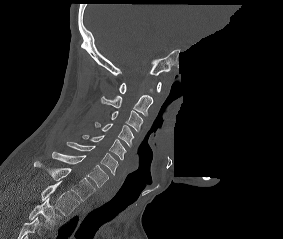 CT. sagittal view. a region is blanked to uniform black, ending in a straight edge

Labels in this scan begin with C1 at the top and end with T2 at the bottom.
<vertebrae><v name="C1" x1="119" y1="81" x2="161" y2="93"/><v name="C2" x1="101" y1="94" x2="153" y2="115"/><v name="C3" x1="111" y1="110" x2="143" y2="131"/><v name="C4" x1="95" y1="122" x2="134" y2="146"/><v name="C5" x1="82" y1="135" x2="126" y2="159"/><v name="C6" x1="67" y1="142" x2="118" y2="175"/><v name="C7" x1="52" y1="152" x2="108" y2="187"/><v name="T1" x1="34" y1="161" x2="95" y2="201"/><v name="T2" x1="41" y1="181" x2="79" y2="216"/></vertebrae>